Spine CT — sagittal reformat — 512x929 px
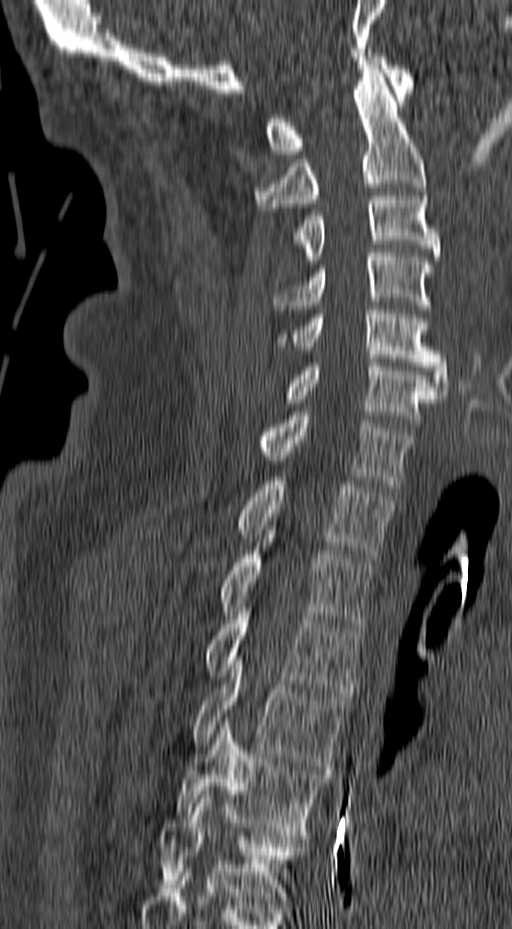

Box edges are left/top/right/bottom in pixels.
Vertebra bounding boxes:
- T6: left=159, top=791, right=307, bottom=904
- T5: left=173, top=717, right=330, bottom=835
- T4: left=192, top=656, right=349, bottom=769
- T3: left=203, top=607, right=362, bottom=696
- T2: left=220, top=542, right=372, bottom=627
- T1: left=236, top=481, right=395, bottom=557
- C7: left=259, top=412, right=414, bottom=488
- C6: left=282, top=359, right=443, bottom=427
- C5: left=275, top=306, right=449, bottom=394
- C4: left=273, top=249, right=433, bottom=309
- C3: left=291, top=196, right=440, bottom=264
- C2: left=253, top=65, right=425, bottom=207
- C1: left=265, top=53, right=414, bottom=154